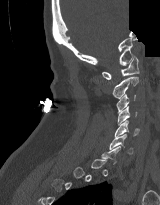 CT · sagittal view · bone window · the image is 160 mm wide · 160x205 px · a portion of the image is blanked out (constant pixel value)
Each box given as x1,y1,x2,y2. Each vertebra is boxed only on the slices from the first to the last where its cross-section reaches a third of its largest, so a slice outside that range leaves it unboxed. The labeled vertebrae in this slice are: C1 at x1=102, y1=55, x2=139, y2=79, C2 at x1=112, y1=76, x2=138, y2=98, C3 at x1=116, y1=94, x2=135, y2=113, C4 at x1=117, y1=106, x2=137, y2=125, C5 at x1=114, y1=120, x2=139, y2=137, C6 at x1=109, y1=134, x2=133, y2=154.